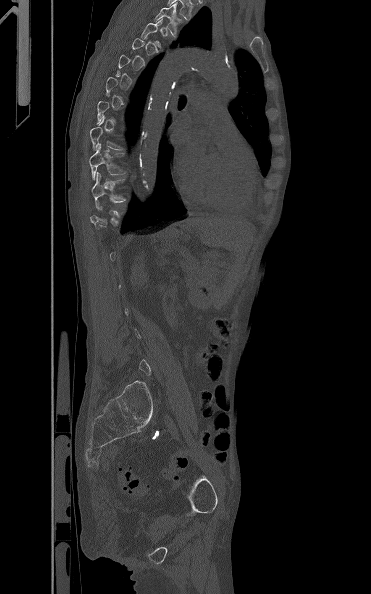
Spine CT — sagittal view — 371x594 px
Each vertebra maps to its box as [x1, y1, x2, y2], the pixel coordinates of its top-left and bottom-right corners.
Each vertebra is boxed only on the slices from the first to the last where its cross-section reaches a third of its largest, so a slice outside that range leaves it unboxed.
{"vertebrae":{"T3":[153,3,183,36],"T10":[89,143,125,180],"T11":[91,171,127,208]}}